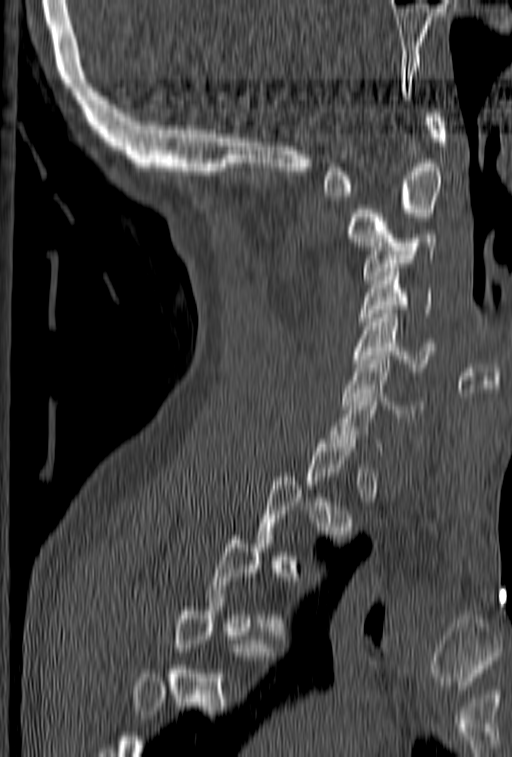

CT · sagittal view · Bone window (WL 400, WW 1800) · 512x757 px
Boxes below are [x1, y1, x2, y2] in pixels.
A vertebra is boxed only from the first to the last slice where its cross-section is at least a third of its largest; slices outside that range leave it without a box.
{"vertebrae":{"C1":[322,109,446,196],"C2":[348,163,442,250],"C3":[363,230,437,283],"C4":[359,264,432,329],"C5":[353,305,435,371],"C6":[343,356,422,421],"C7":[324,389,382,451]}}